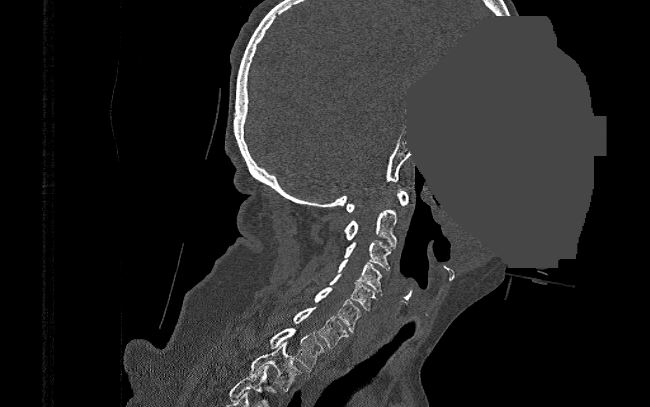 CT, spine · sagittal reformat · 650x407 px · part of the image is a flat gray fill, not anatomy
<vertebrae><v name="C1" x1="345" y1="189" x2="409" y2="213"/><v name="C2" x1="343" y1="210" x2="398" y2="247"/><v name="C3" x1="344" y1="240" x2="395" y2="270"/><v name="C4" x1="338" y1="259" x2="382" y2="295"/><v name="C5" x1="330" y1="274" x2="377" y2="313"/><v name="C6" x1="314" y1="287" x2="361" y2="332"/><v name="C7" x1="293" y1="306" x2="348" y2="347"/><v name="T1" x1="270" y1="328" x2="325" y2="371"/><v name="T2" x1="250" y1="341" x2="300" y2="390"/></vertebrae>